Spine computed tomography; sagittal view
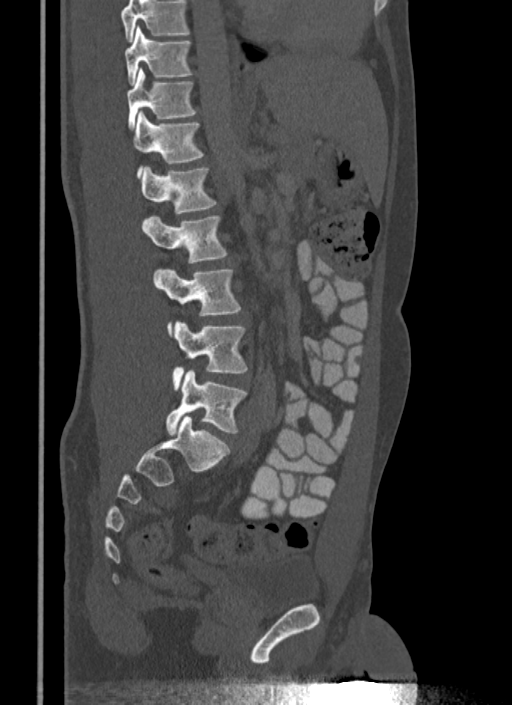 Each vertebra maps to its box as [x1, y1, x2, y2], the pixel coordinates of its top-left and bottom-right corners.
Where the top of the scan cuts through a vertebra, that vertebra gets no label or box.
{"vertebrae":{"T10":[125,26,193,85],"T11":[128,69,196,129],"T12":[134,111,204,175],"L1":[141,166,217,214],"L2":[143,215,228,263],"L3":[153,268,241,330],"L4":[173,321,247,389],"L5":[165,370,247,434]}}